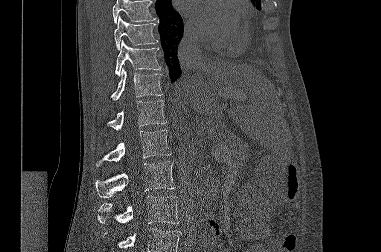

Computed tomography of the spine. sagittal view. bone-window reconstruction. 381 mm wide. Coordinates as <box>x1,y1,x2,y2</box>.
Vertebrae that run past the top or bottom of the scan are left unlabeled.
T9: <box>114,16,157,49</box>
T10: <box>115,40,161,75</box>
T11: <box>111,67,162,100</box>
T12: <box>107,100,166,130</box>
L1: <box>96,130,171,166</box>
L2: <box>95,161,175,197</box>
L3: <box>98,196,179,224</box>